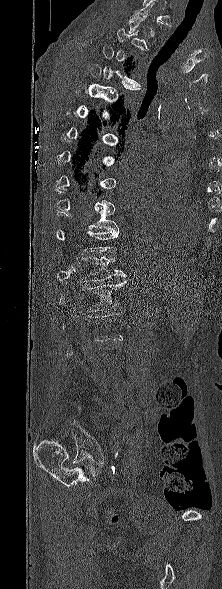

Computed tomography of the spine; sagittal view; W/L 1800/400 HU
Each box is [x1, y1, x2, y2] in pixels: top-left corner, then bottom-right corner.
Not every vertebra on this slice has a box: a vertebra is boxed only from the first to the last slice where its cross-section is at least a third of its largest, and this slice is outside that range for at least one of them.
{"vertebrae":{"T3":[102,44,140,86],"T10":[56,208,118,231],"T12":[77,256,126,281],"L1":[60,280,126,312]}}